Spine CT — sagittal view — 512x850 px
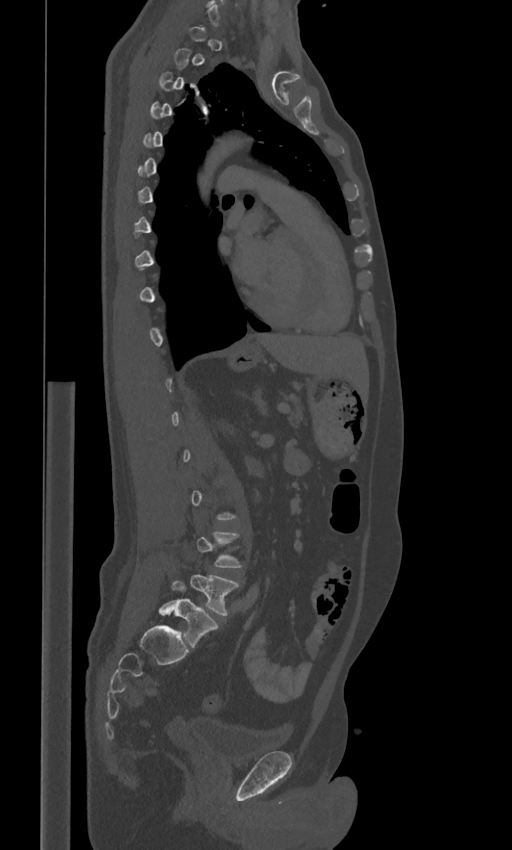

A vertebra gets a box only on the slices from the first to the last where its cross-section is at least a third of its largest; on a slice outside that range it gets none.
The labels name a sixth lumbar vertebra for this spine: L6, after L5.
<vertebrae><v name="L6" x1="159" y1="580" x2="217" y2="648"/><v name="L5" x1="191" y1="573" x2="238" y2="616"/></vertebrae>